CT, spine. 187 mm across the image. sagittal view. 512x609 px
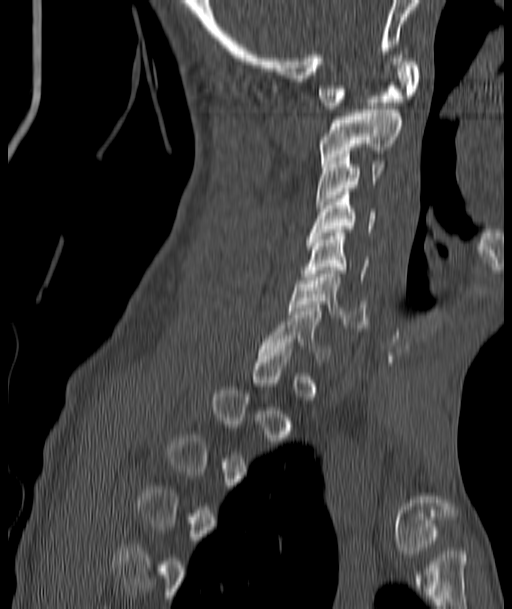
A vertebra gets a box only on the slices from the first to the last where its cross-section is at least a third of its largest; on a slice outside that range it gets none.
<vertebrae><v name="C7" x1="261" y1="308" x2="332" y2="365"/><v name="C6" x1="288" y1="270" x2="368" y2="328"/><v name="C5" x1="302" y1="229" x2="367" y2="280"/><v name="C4" x1="307" y1="192" x2="375" y2="239"/><v name="C3" x1="316" y1="151" x2="385" y2="204"/><v name="C2" x1="318" y1="106" x2="402" y2="163"/><v name="C1" x1="318" y1="55" x2="419" y2="109"/></vertebrae>